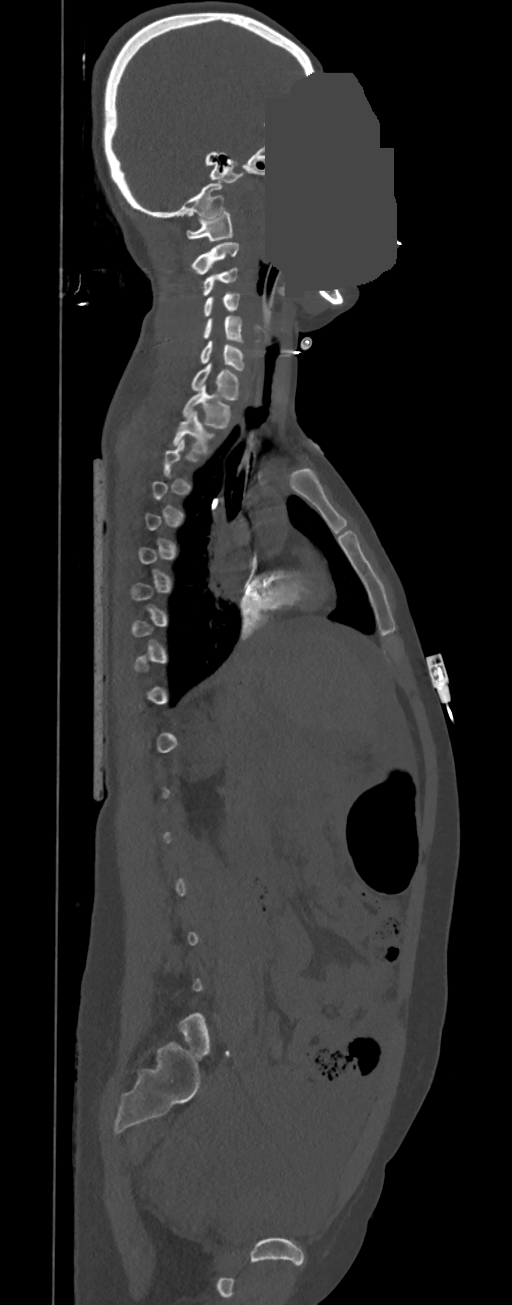
CT · sagittal view · Bone window (WL 400, WW 1800) · part of the image has been replaced by a constant value

A vertebra gets a box only on the slices from the first to the last where its cross-section is at least a third of its largest; on a slice outside that range it gets none.
<vertebrae><v name="C1" x1="186" y1="211" x2="232" y2="241"/><v name="C2" x1="191" y1="242" x2="239" y2="274"/><v name="C3" x1="203" y1="267" x2="237" y2="295"/><v name="C4" x1="203" y1="292" x2="239" y2="316"/><v name="C5" x1="203" y1="316" x2="243" y2="343"/><v name="C6" x1="200" y1="341" x2="243" y2="370"/><v name="C7" x1="191" y1="363" x2="239" y2="401"/><v name="T1" x1="183" y1="384" x2="230" y2="428"/><v name="T2" x1="172" y1="411" x2="212" y2="453"/></vertebrae>